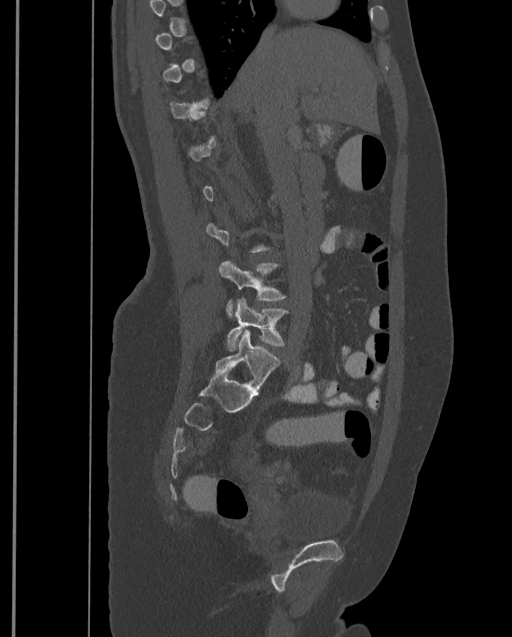
Spine CT; sagittal view; bone window

A vertebra is boxed only from the first to the last slice where its cross-section is at least a third of its largest; slices outside that range leave it without a box.
The highest labeled vertebra in this scan is T9; the lowest is L4.
<vertebrae><v name="L3" x1="218" y1="260" x2="285" y2="317"/><v name="L4" x1="227" y1="299" x2="288" y2="350"/></vertebrae>